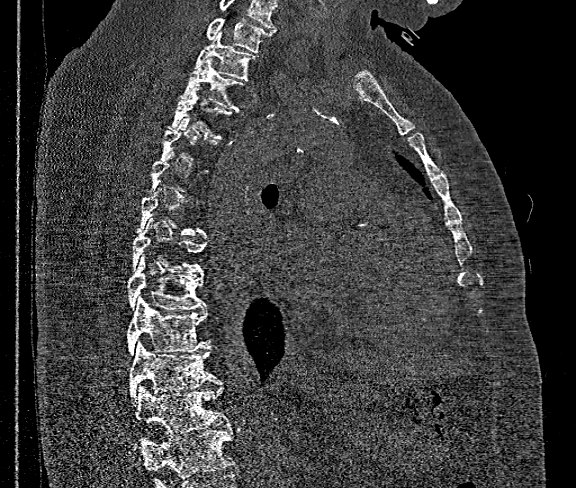

Computed tomography of the spine — sagittal view — 576x488 px
Coordinates as <box>x1,y1,x2,y2</box>.
Each vertebra is boxed only on the slices from the first to the last where its cross-section reaches a third of its largest, so a slice outside that range leaves it unboxed.
No box is given to a vertebra that the bottom edge of the scan cuts off.
This scan's labels start at T1 at the top and end at T12 at the bottom.
T12: <box>134,384,230,449</box>
T11: <box>129,343,221,399</box>
T10: <box>128,297,207,355</box>
T9: <box>128,256,205,310</box>
T8: <box>132,221,205,275</box>
T4: <box>169,87,232,139</box>
T3: <box>180,58,243,110</box>
T2: <box>195,31,257,79</box>
T1: <box>206,18,272,52</box>